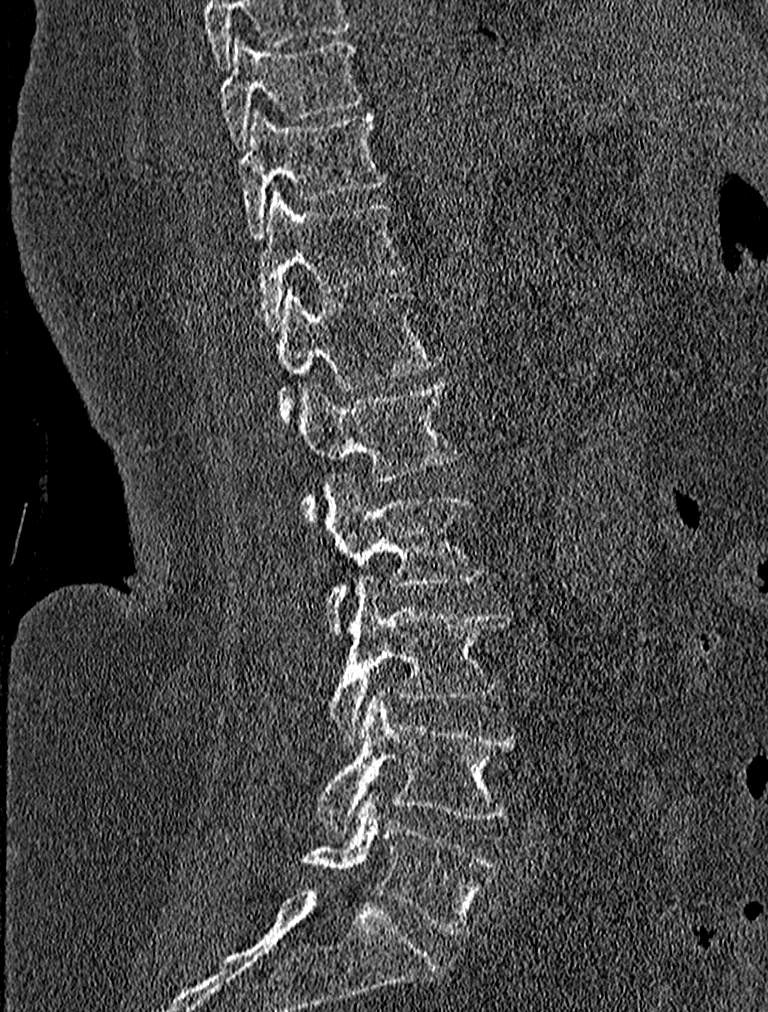
CT spine — sagittal view — the image spans 227 mm across
Bounding boxes as [x1, y1, x2, y2] in pixel coordinates. 9 vertebrae labeled — T9 at [219, 33, 363, 148]; T10 at [239, 110, 387, 237]; T11 at [254, 189, 404, 331]; T12 at [257, 285, 441, 421]; L1 at [297, 382, 458, 515]; L2 at [324, 473, 485, 629]; L3 at [330, 577, 509, 745]; L4 at [317, 688, 519, 830]; L5 at [303, 790, 499, 934].